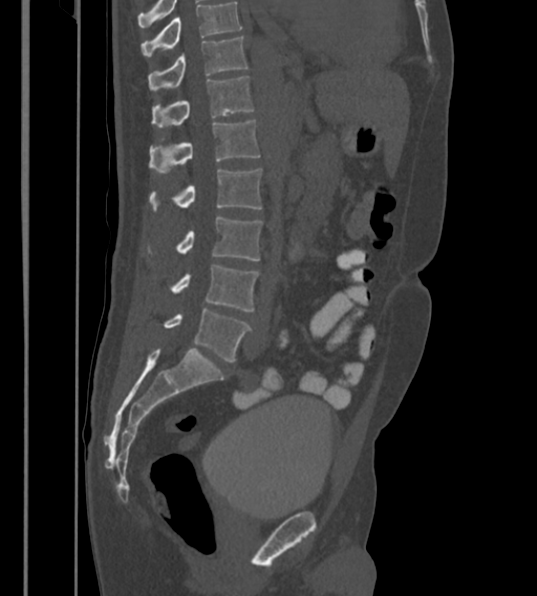

CT, spine · 430 mm wide · sagittal view · 537x596 px

Columns x1, y1, x2, y2 give each box's top-left and bottom-right pixels.
In this scan, the topmost labeled vertebra is T12 and the lowest is L6.
The labels name a sixth lumbar vertebra for this spine: L6, after L5.
| vertebra | x1 | y1 | x2 | y2 |
|---|---|---|---|---|
| L6 | 163 | 309 | 252 | 361 |
| L5 | 168 | 265 | 259 | 311 |
| L4 | 145 | 216 | 262 | 260 |
| L3 | 149 | 169 | 261 | 214 |
| L2 | 149 | 120 | 260 | 174 |
| L1 | 151 | 76 | 254 | 128 |
| T12 | 148 | 36 | 248 | 90 |